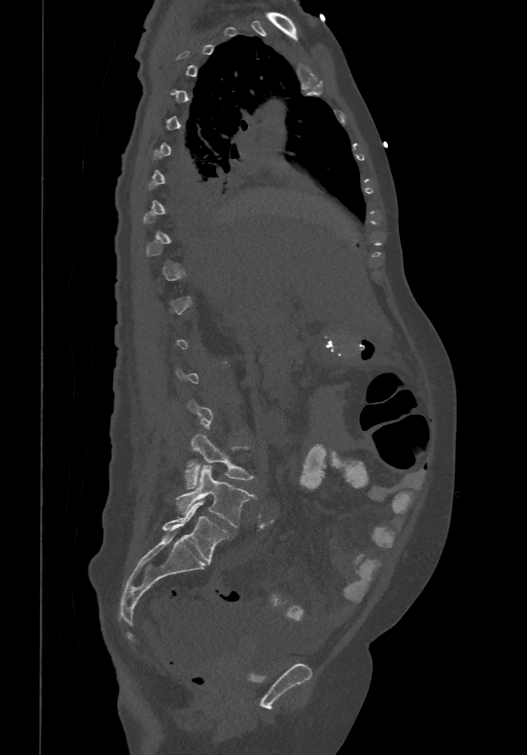
CT, spine. sagittal view. Box edges are left/top/right/bottom in pixels.
A vertebra is boxed only from the first to the last slice where its cross-section is at least a third of its largest; slices outside that range leave it without a box.
In these labels the spine has an L6, a sixth lumbar vertebra below L5.
Vertebra bounding boxes:
- L4: left=184, top=434, right=253, bottom=488
- L5: left=176, top=466, right=254, bottom=527
- L6: left=163, top=501, right=229, bottom=563